CT spine · sagittal plane, index 120 · Bone window (WL 400, WW 1800) · 6 vertebrae labeled in this scan
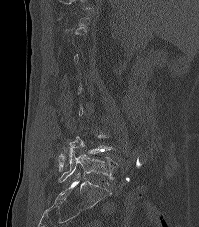
Bounding boxes as [x1, y1, x2, y2] in pixel coordinates.
A vertebra gets a box only on the slices from the first to the last where its cross-section is at least a third of its largest; on a slice outside that range it gets none.
Vertebra bounding boxes:
- L4: [58, 135, 112, 172]
- L5: [58, 150, 118, 182]